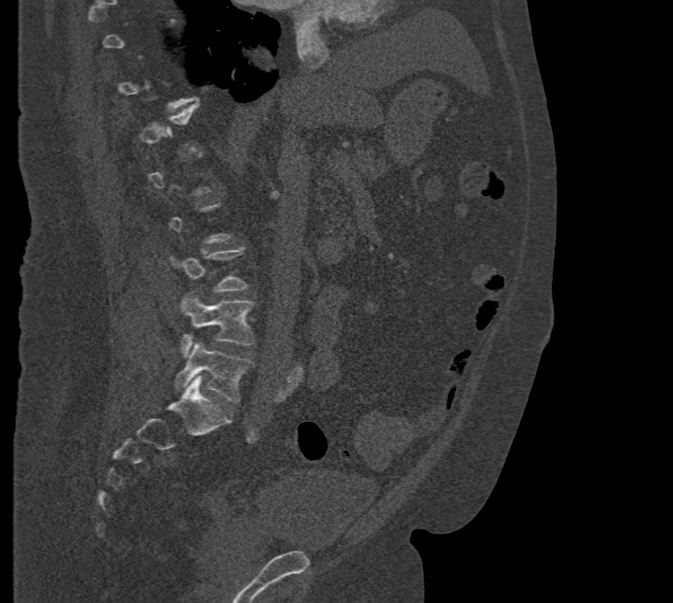

Spine CT. image width 471 mm. sagittal reformat. W/L 1800/400 HU

Boxes are given in columns x1, y1, x2, y2, the pixel coordinates of their top-left and bottom-right corners.
Not every vertebra on this slice has a box: a vertebra is boxed only from the first to the last slice where its cross-section is at least a third of its largest, and this slice is outside that range for at least one of them.
| vertebra | x1 | y1 | x2 | y2 |
|---|---|---|---|---|
| L4 | 180 | 292 | 253 | 357 |
| L5 | 176 | 342 | 251 | 402 |